CT spine; sagittal view
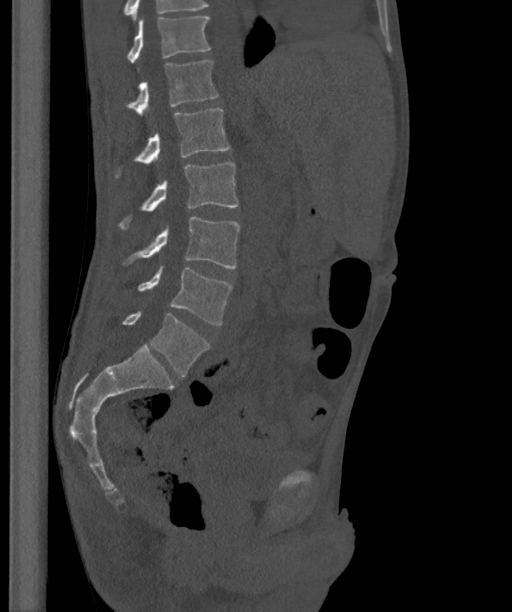 Coordinates as <box>x1,y1,x2,y2</box>.
This scan's labels start at T12 at the top and end at L6 at the bottom.
The labels name a sixth lumbar vertebra for this spine: L6, after L5.
L6: <box>123,311,209,377</box>
L5: <box>138,267,232,324</box>
L4: <box>123,217,240,268</box>
L3: <box>118,162,239,229</box>
L2: <box>115,108,230,177</box>
L1: <box>127,61,219,116</box>
T12: <box>127,17,210,62</box>